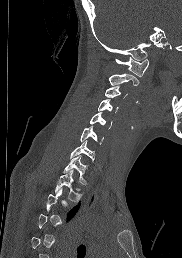

Spine computed tomography · sagittal view · bone-window reconstruction
In the table, x1 and y1 are a box's top-left corner and x2 and y2 its bottom-right corner, in pixels.
A vertebra gets a box only on the slices from the first to the last where its cross-section is at least a third of its largest; on a slice outside that range it gets none.
| vertebra | x1 | y1 | x2 | y2 |
|---|---|---|---|---|
| C1 | 114 | 57 | 149 | 76 |
| C2 | 109 | 73 | 138 | 85 |
| C3 | 105 | 85 | 127 | 98 |
| C4 | 98 | 99 | 118 | 111 |
| C5 | 89 | 112 | 112 | 128 |
| C6 | 80 | 125 | 103 | 143 |
| C7 | 70 | 139 | 94 | 162 |
| T1 | 61 | 155 | 86 | 183 |
| T2 | 55 | 170 | 81 | 201 |